CT, spine. sagittal plane, index 263. 512x827 px
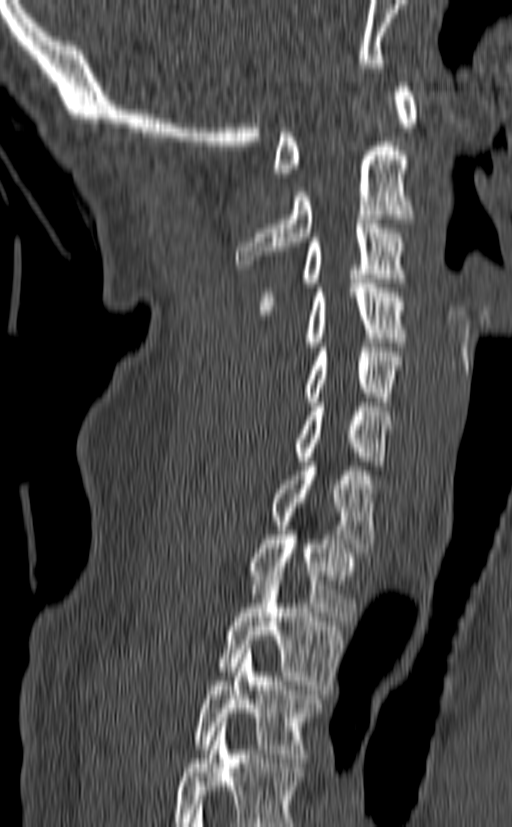

Each vertebra maps to its box as [x1, y1, x2, y2], the pixel coordinates of its top-left and bottom-right corners.
This scan's labels start at C1 at the top and end at T3 at the bottom.
{"vertebrae":{"T3":[194,645,326,762],"T2":[217,571,344,689],"T1":[246,530,360,621],"C7":[268,457,377,552],"C6":[294,402,392,465],"C5":[301,347,403,406],"C4":[305,279,406,346],"C3":[259,219,409,314],"C2":[235,142,414,269],"C1":[272,82,417,177]}}